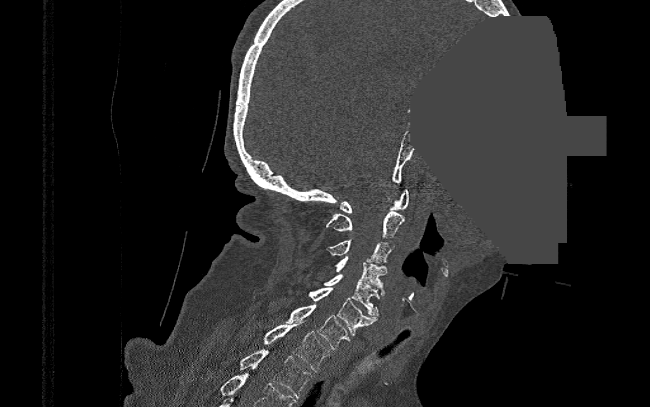 CT, spine; 390 mm across the image; sagittal view; Bone window (WL 400, WW 1800); an area of the scan was removed and filled with constant pixels
Each box given as x1,y1,x2,y2. The labeled vertebrae in this slice are: C1 at x1=339, y1=189, x2=409, y2=213, C2 at x1=326, y1=211, x2=404, y2=238, C3 at x1=326, y1=239, x2=394, y2=263, C4 at x1=335, y1=256, x2=386, y2=294, C5 at x1=324, y1=274, x2=379, y2=315, C6 at x1=309, y1=287, x2=377, y2=335, C7 at x1=286, y1=303, x2=349, y2=350, T1 at x1=263, y1=321, x2=329, y2=371, T2 at x1=240, y1=349, x2=311, y2=398.